Computed tomography of the spine. sagittal view
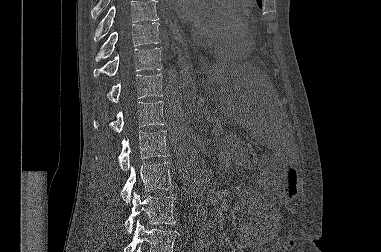
In the table, x1 and y1 are a box's top-left corner and x2 and y2 its bottom-right corner, in pixels.
A vertebra cut off by the top or bottom edge of the scan is not labeled and has no box.
| vertebra | x1 | y1 | x2 | y2 |
|---|---|---|---|---|
| T9 | 95 | 22 | 160 | 61 |
| T10 | 93 | 47 | 161 | 77 |
| T11 | 106 | 74 | 162 | 102 |
| T12 | 93 | 101 | 165 | 132 |
| L1 | 96 | 131 | 169 | 171 |
| L2 | 120 | 162 | 173 | 203 |
| L3 | 124 | 192 | 175 | 233 |